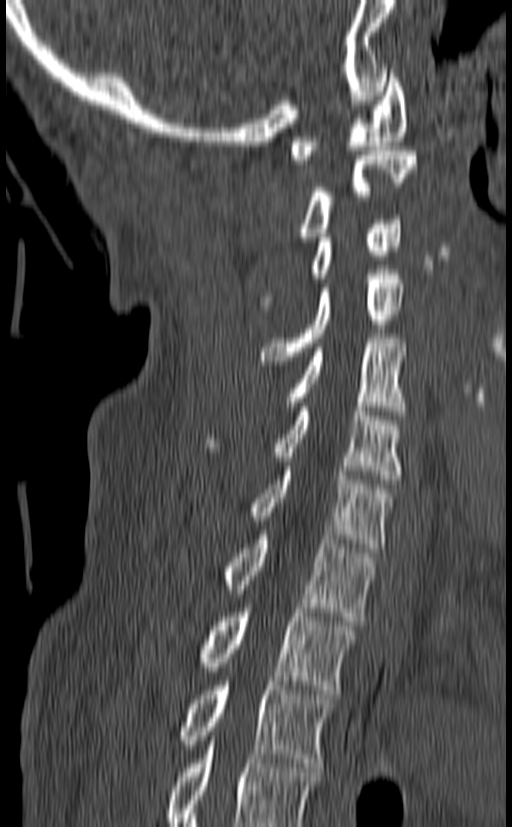
Spine CT — sagittal view — bone-window reconstruction — image 140 mm wide — 512x827 px

The highest labeled vertebra in this scan is C1; the lowest is T3.
<vertebrae><v name="C1" x1="290" y1="69" x2="407" y2="164"/><v name="C2" x1="298" y1="151" x2="417" y2="241"/><v name="C3" x1="261" y1="215" x2="402" y2="305"/><v name="C4" x1="260" y1="270" x2="403" y2="365"/><v name="C5" x1="285" y1="338" x2="406" y2="415"/><v name="C6" x1="203" y1="407" x2="402" y2="484"/><v name="C7" x1="250" y1="466" x2="392" y2="552"/><v name="T1" x1="221" y1="530" x2="373" y2="621"/><v name="T2" x1="199" y1="608" x2="355" y2="694"/><v name="T3" x1="181" y1="681" x2="334" y2="767"/></vertebrae>